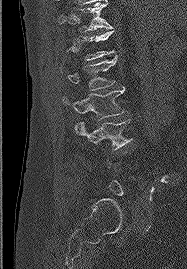
Spine computed tomography; sagittal view; 187x269 px

Boxes are (x1, y1, x2, y2) in pixels. Each vertebra is boxed only on the slices from the first to the last where its cross-section reaches a third of its largest, so a slice outside that range leaves it unboxed. Vertebrae labeled: T11 at (58, 3, 112, 31), L1 at (67, 56, 116, 90), L2 at (63, 87, 124, 120), L3 at (75, 119, 132, 149).